Spine computed tomography — sagittal reformat
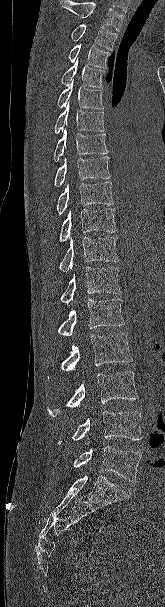
Boxes are given in columns x1, y1, x2, y2, the pixel coordinates of their top-left and bottom-right corners.
A vertebra cut off by the top edge of the scan is not labeled and has no box.
| vertebra | x1 | y1 | x2 | y2 |
|---|---|---|---|---|
| T2 | 71 | 24 | 117 | 50 |
| T3 | 68 | 43 | 110 | 68 |
| T4 | 61 | 58 | 105 | 87 |
| T5 | 57 | 79 | 103 | 109 |
| T6 | 54 | 101 | 104 | 133 |
| T7 | 53 | 128 | 108 | 161 |
| T8 | 54 | 156 | 110 | 186 |
| T9 | 56 | 181 | 113 | 215 |
| T10 | 59 | 208 | 116 | 241 |
| T11 | 59 | 236 | 119 | 272 |
| T12 | 60 | 266 | 121 | 303 |
| L1 | 57 | 299 | 124 | 336 |
| L2 | 48 | 332 | 132 | 378 |
| L3 | 47 | 371 | 138 | 416 |
| L4 | 58 | 411 | 141 | 445 |
| L5 | 73 | 446 | 141 | 482 |